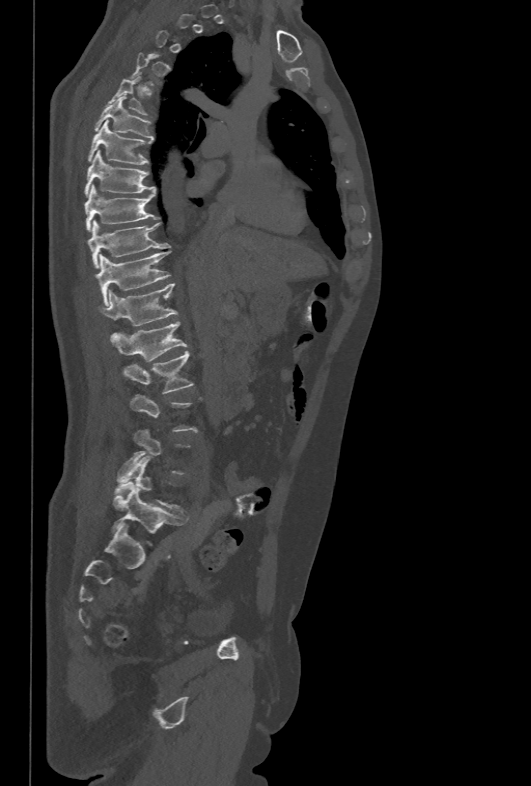

CT. sagittal view. W/L 1800/400 HU. 531x786 px
A vertebra is boxed only from the first to the last slice where its cross-section is at least a third of its largest; slices outside that range leave it without a box.
<vertebrae><v name="L2" x1="123" y1="350" x2="193" y2="393"/><v name="L1" x1="110" y1="322" x2="188" y2="361"/><v name="T12" x1="98" y1="283" x2="176" y2="325"/><v name="T11" x1="95" y1="250" x2="170" y2="305"/><v name="T10" x1="88" y1="220" x2="170" y2="267"/><v name="T9" x1="84" y1="185" x2="157" y2="231"/><v name="T8" x1="84" y1="150" x2="155" y2="196"/><v name="T7" x1="88" y1="120" x2="151" y2="164"/><v name="T6" x1="94" y1="96" x2="154" y2="138"/><v name="T5" x1="108" y1="75" x2="146" y2="116"/></vertebrae>